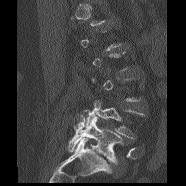

CT — sagittal view — image width 186 mm — Bone window (WL 400, WW 1800) — 186x186 px
Bounding boxes as [x1, y1, x2, y2] in pixel coordinates. A vertebra gets a box only on the slices from the first to the last where its cross-section is at least a third of its largest; on a slice outside that range it gets none. Vertebrae labeled: L4 at [83, 100, 144, 139], L5 at [68, 114, 123, 163].